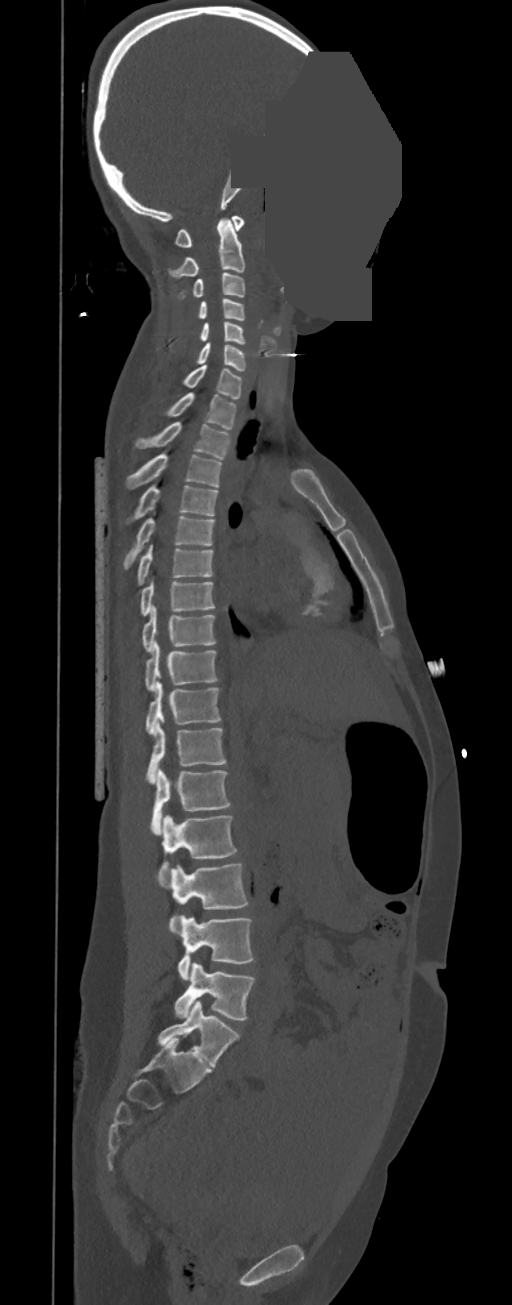

Computed tomography of the spine — sagittal view — some of the image was removed or blocked out with constant pixels. Boxes: x1 y1 x2 y2 (pixel coords, space-separated). These labels give this spine no T12: after T11 the next vertebra is L1. The labeled vertebrae in this slice are: C1 at 175 216 243 247, C2 at 169 217 245 277, C3 at 178 273 245 299, C4 at 199 299 245 320, C5 at 200 321 245 344, C6 at 197 342 246 370, C7 at 184 365 242 399, T1 at 165 392 236 430, T2 at 136 421 230 460, T3 at 126 453 221 489, T4 at 125 486 218 524, T5 at 123 512 215 569, T6 at 137 545 214 585, T7 at 140 581 215 616, T8 at 142 606 215 652, T9 at 145 642 218 690, T10 at 146 682 221 735, T11 at 146 721 227 784, L1 at 151 769 231 835, L2 at 159 815 237 869, L3 at 158 862 249 932, L4 at 178 915 253 980, L5 at 174 962 255 1019.